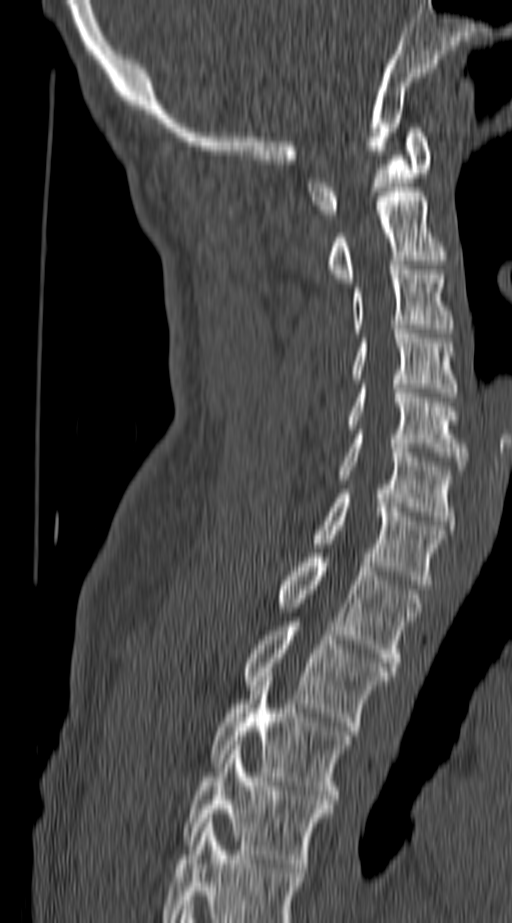

Computed tomography of the spine · sagittal view · bone window. Coordinates as <box>x1,y1,x2,y2</box>.
In this scan, the topmost labeled vertebra is C1 and the lowest is T4.
Vertebra bounding boxes:
- T4: <box>184,745,333,872</box>
- T3: <box>210,672,351,804</box>
- T2: <box>243,622,388,730</box>
- T1: <box>279,553,421,666</box>
- C7: <box>312,494,447,584</box>
- C6: <box>338,434,454,525</box>
- C5: <box>349,384,468,470</box>
- C4: <box>352,329,457,397</box>
- C3: <box>351,265,450,328</box>
- C2: <box>327,192,447,282</box>
- C1: <box>309,128,432,214</box>